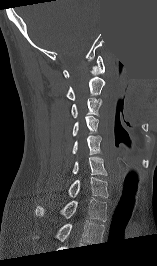
CT, spine — sagittal view — bone-window reconstruction — 157x266 px — a region is masked with a constant gray value
Each row gives a vertebra's box as x1, y1, x2, y2 in pixels: top-left corner, then bottom-right corner.
Labels in this scan begin with C1 at the top and end with T1 at the bottom.
| vertebra | x1 | y1 | x2 | y2 |
|---|---|---|---|---|
| C1 | 63 | 55 | 104 | 78 |
| C2 | 66 | 77 | 104 | 100 |
| C3 | 71 | 98 | 102 | 118 |
| C4 | 72 | 116 | 98 | 136 |
| C5 | 72 | 135 | 101 | 154 |
| C6 | 72 | 157 | 107 | 175 |
| C7 | 68 | 177 | 108 | 197 |
| T1 | 35 | 197 | 107 | 221 |